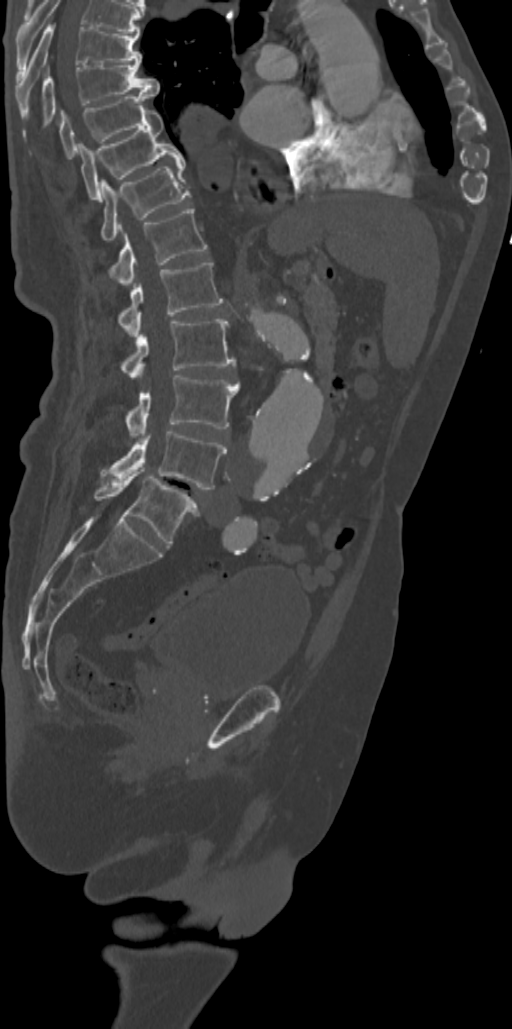 CT, spine. sagittal view. image width 342 mm. W/L 1800/400 HU. In the table, x1 and y1 are a box's top-left corner and x2 and y2 its bottom-right corner, in pixels.
This scan's labels start at T7 at the top and end at L5 at the bottom.
| vertebra | x1 | y1 | x2 | y2 |
|---|---|---|---|---|
| T7 | 16 | 22 | 141 | 109 |
| T8 | 42 | 61 | 160 | 125 |
| T9 | 60 | 92 | 153 | 156 |
| T10 | 79 | 110 | 184 | 201 |
| T11 | 101 | 162 | 189 | 242 |
| T12 | 109 | 207 | 207 | 287 |
| L1 | 118 | 261 | 223 | 336 |
| L2 | 121 | 319 | 234 | 379 |
| L3 | 126 | 375 | 238 | 439 |
| L4 | 103 | 431 | 226 | 489 |
| L5 | 94 | 470 | 199 | 545 |